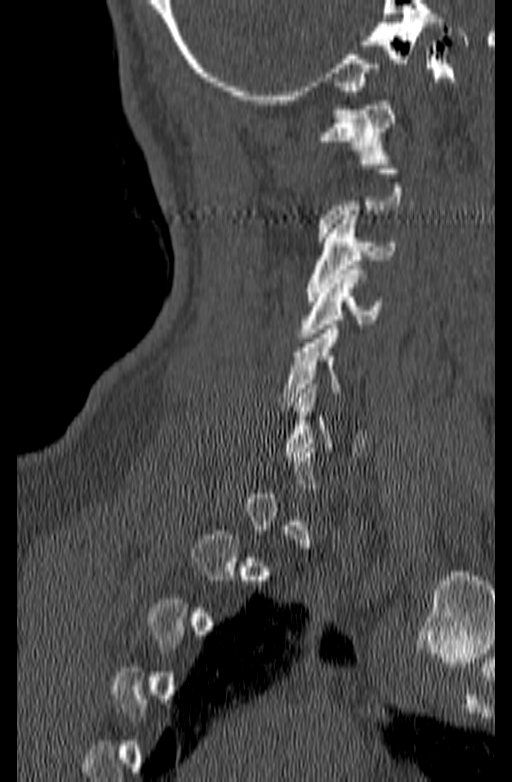
CT — sagittal view — 140 mm across the image
Bounding boxes as [x1, y1, x2, y2] in pixel coordinates. Each vertebra is boxed only on the slices from the first to the last where its cross-section reaches a third of its largest, so a slice outside that range leaves it unboxed. Vertebrae labeled: C1 at [318, 101, 395, 164], C3 at [305, 215, 395, 301], C4 at [298, 265, 383, 342], C5 at [277, 325, 363, 406].